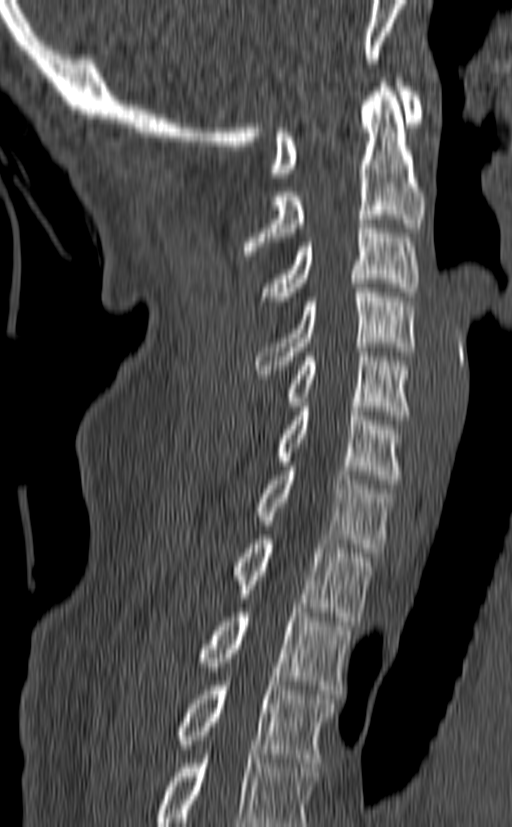 CT, spine — sagittal view — bone-window reconstruction
The highest labeled vertebra in this scan is C1; the lowest is T3.
<vertebrae><v name="C1" x1="271" y1="78" x2="425" y2="177"/><v name="C2" x1="243" y1="78" x2="425" y2="255"/><v name="C3" x1="261" y1="219" x2="419" y2="305"/><v name="C4" x1="254" y1="283" x2="414" y2="378"/><v name="C5" x1="249" y1="347" x2="411" y2="420"/><v name="C6" x1="276" y1="402" x2="403" y2="484"/><v name="C7" x1="254" y1="462" x2="392" y2="552"/><v name="T1" x1="232" y1="535" x2="373" y2="621"/><v name="T2" x1="199" y1="608" x2="351" y2="694"/><v name="T3" x1="177" y1="681" x2="337" y2="762"/></vertebrae>